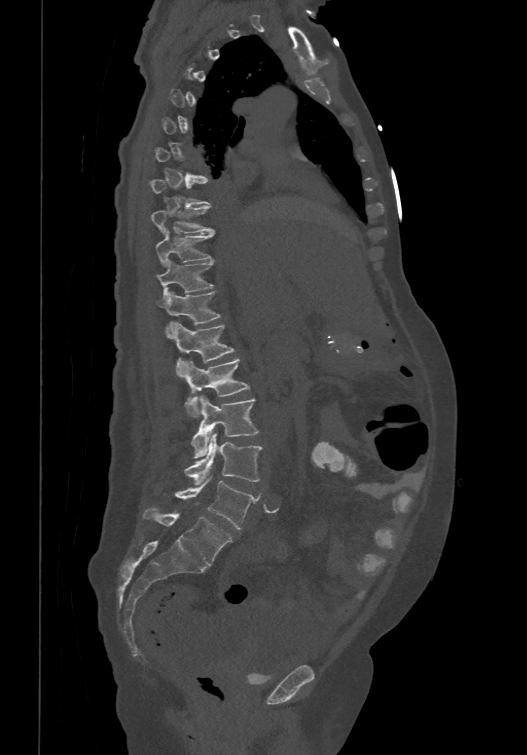 CT, spine; sagittal reformat; 527x755 px; the image is 474 mm wide. Boxes: x1 y1 x2 y2 (pixel coords, space-separated). A vertebra gets a box only on the slices from the first to the last where its cross-section is at least a third of its largest; on a slice outside that range it gets none. In these labels the spine has an L6, a sixth lumbar vertebra below L5. The labeled vertebrae in this slice are: L6 at 143 508 231 565, L5 at 175 476 257 528, L4 at 184 433 262 485, L3 at 191 396 258 458, L2 at 181 357 249 416, L1 at 171 322 234 374, T12 at 156 291 220 335, T11 at 156 258 213 299, T10 at 155 228 214 264, T9 at 150 204 213 232, T8 at 149 177 209 204.